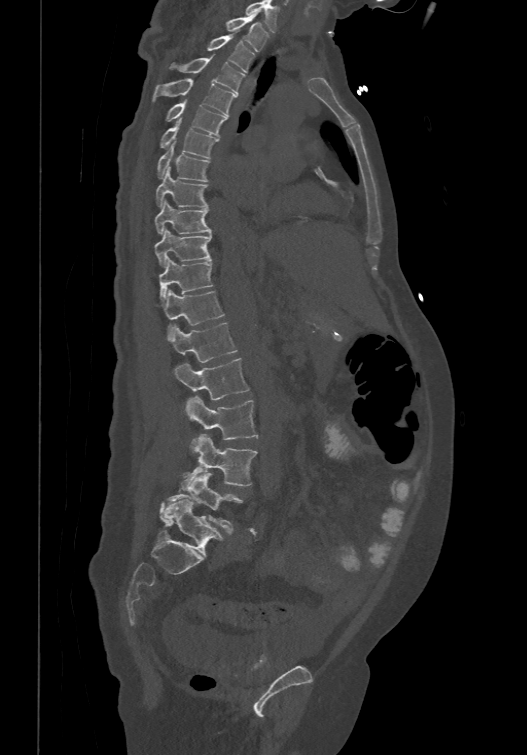 CT — sagittal view — W/L 1800/400 HU
This scan's labels start at T1 at the top and end at L6 at the bottom.
The labels name a sixth lumbar vertebra for this spine: L6, after L5.
<vertebrae><v name="T1" x1="225" y1="12" x2="267" y2="51"/><v name="T2" x1="207" y1="34" x2="254" y2="71"/><v name="T3" x1="169" y1="54" x2="245" y2="92"/><v name="T4" x1="152" y1="77" x2="237" y2="114"/><v name="T5" x1="166" y1="98" x2="227" y2="134"/><v name="T6" x1="160" y1="118" x2="219" y2="157"/><v name="T7" x1="156" y1="141" x2="210" y2="181"/><v name="T8" x1="155" y1="166" x2="208" y2="206"/><v name="T9" x1="154" y1="198" x2="211" y2="233"/><v name="T10" x1="154" y1="227" x2="211" y2="267"/><v name="T11" x1="158" y1="256" x2="212" y2="300"/><v name="T12" x1="161" y1="288" x2="223" y2="337"/><v name="L1" x1="169" y1="322" x2="237" y2="361"/><v name="L2" x1="173" y1="357" x2="249" y2="400"/><v name="L3" x1="185" y1="396" x2="258" y2="440"/><v name="L4" x1="181" y1="434" x2="257" y2="490"/><v name="L5" x1="159" y1="473" x2="243" y2="531"/><v name="L6" x1="164" y1="499" x2="223" y2="555"/></vertebrae>